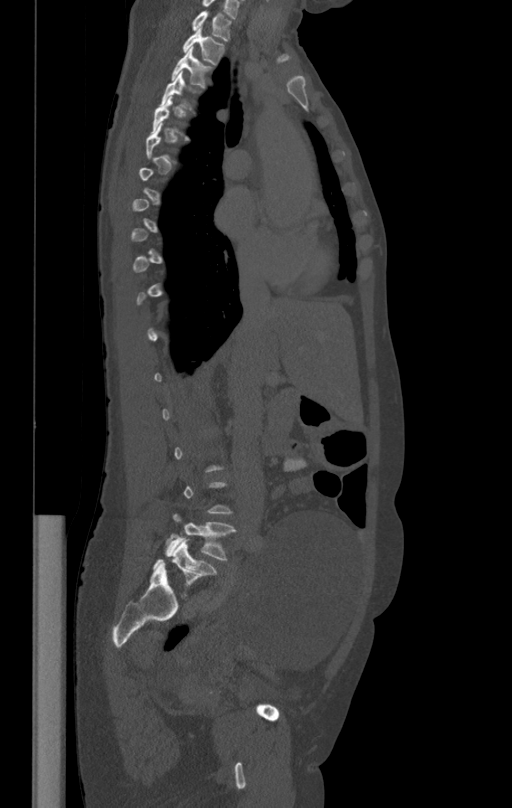

CT, spine · the image spans 412 mm across · sagittal reformat · bone window
Boxes: x1:y1:x2:y2 in pixels.
A vertebra gets a box only on the slices from the first to the last where its cross-section is at least a third of its largest; on a slice outside that range it gets none.
Vertebra bounding boxes:
- L5: 165:513:236:560
- T4: 160:72:199:111
- T3: 172:48:213:87
- T2: 183:28:224:64
- T1: 192:11:233:42